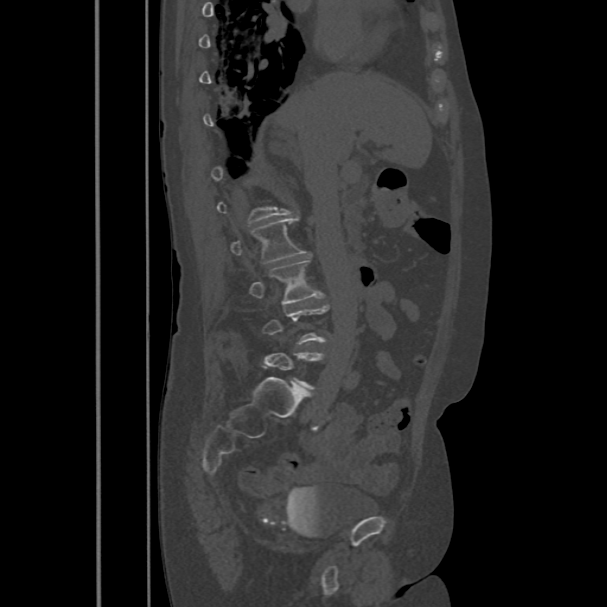
CT spine — the image spans 486 mm across — sagittal reformat. Boxes are given in columns x1, y1, x2, y2, the pixel coordinates of their top-left and bottom-right corners.
A vertebra gets a box only on the slices from the first to the last where its cross-section is at least a third of its largest; on a slice outside that range it gets none.
| vertebra | x1 | y1 | x2 | y2 |
|---|---|---|---|---|
| L3 | 249 | 257 | 322 | 304 |
| L2 | 230 | 217 | 306 | 262 |